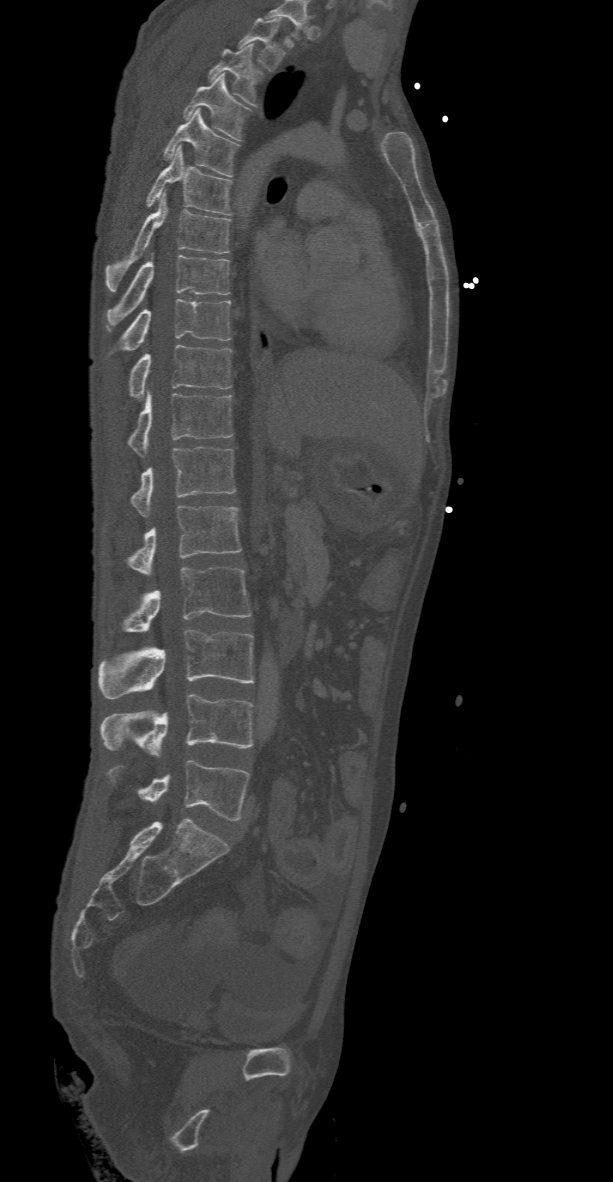
CT spine · sagittal view. Boxes are given in columns x1, y1, x2, y2, the pixel coordinates of their top-left and bottom-right corners.
Labels in this scan begin with T2 at the top and end with L5 at the bottom.
| vertebra | x1 | y1 | x2 | y2 |
|---|---|---|---|---|
| T2 | 238 | 17 | 284 | 71 |
| T3 | 208 | 44 | 261 | 106 |
| T4 | 183 | 74 | 251 | 140 |
| T5 | 163 | 109 | 239 | 176 |
| T6 | 145 | 146 | 233 | 215 |
| T7 | 104 | 192 | 230 | 291 |
| T8 | 107 | 254 | 229 | 330 |
| T9 | 120 | 299 | 230 | 351 |
| T10 | 128 | 344 | 233 | 398 |
| T11 | 128 | 391 | 233 | 455 |
| T12 | 129 | 447 | 235 | 516 |
| L1 | 127 | 506 | 241 | 576 |
| L2 | 123 | 567 | 251 | 631 |
| L3 | 98 | 629 | 254 | 698 |
| L4 | 99 | 694 | 254 | 756 |
| L5 | 107 | 759 | 248 | 820 |